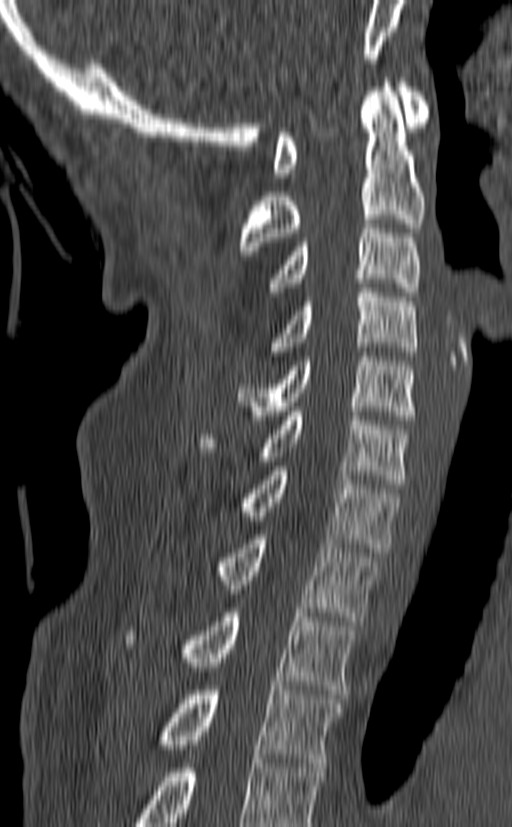 Spine CT; sagittal view; Bone window (WL 400, WW 1800)
Boxes below are [x1, y1, x2, y2] in pixels.
The highest labeled vertebra in this scan is C1; the lowest is T3.
{"vertebrae":{"T3":[155,686,342,767],"T2":[124,608,356,694],"T1":[213,535,381,621],"C7":[239,466,399,552],"C6":[198,411,410,488],"C5":[237,352,417,420],"C4":[270,288,417,356],"C3":[268,219,421,296],"C2":[239,78,425,250],"C1":[272,78,428,177]}}